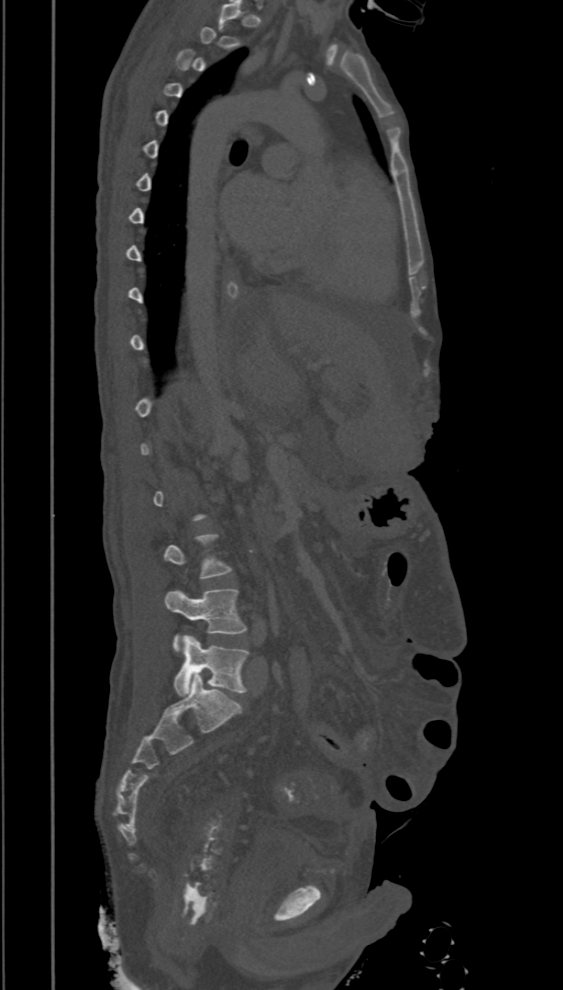 Spine computed tomography; sagittal view; bone window; 563x990 px. Each box given as x1,y1,x2,y2.
A vertebra gets a box only on the slices from the first to the last where its cross-section is at least a third of its largest; on a slice outside that range it gets none.
| vertebra | x1 | y1 | x2 | y2 |
|---|---|---|---|---|
| L4 | 164 | 589 | 246 | 652 |
| L5 | 174 | 634 | 250 | 696 |